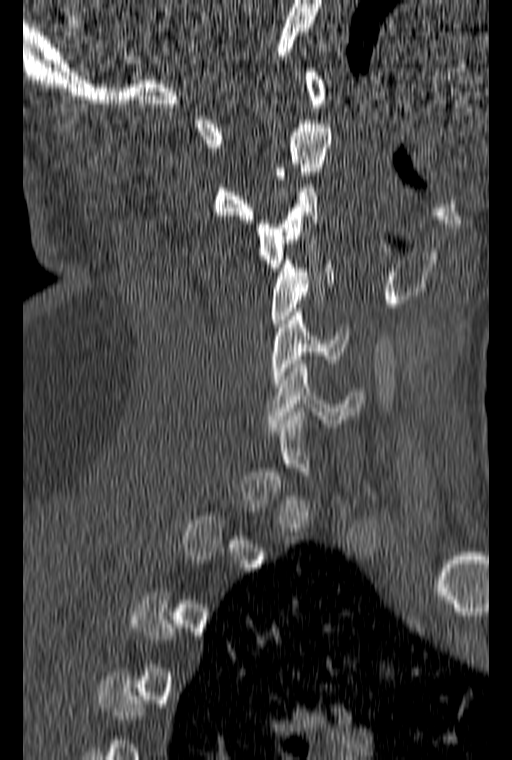
Spine CT; sagittal view; bone-window reconstruction; 512x760 px. Each row gives a vertebra's box as x1, y1, x2, y2 in pixels: top-left corner, then bottom-right corner.
Each vertebra is boxed only on the slices from the first to the last where its cross-section reaches a third of its largest, so a slice outside that range leaves it unboxed.
| vertebra | x1 | y1 | x2 | y2 |
|---|---|---|---|---|
| C1 | 196 | 68 | 326 | 147 |
| C2 | 213 | 124 | 331 | 223 |
| C3 | 254 | 184 | 318 | 271 |
| C4 | 271 | 256 | 333 | 327 |
| C5 | 272 | 308 | 348 | 387 |
| C6 | 266 | 356 | 362 | 427 |